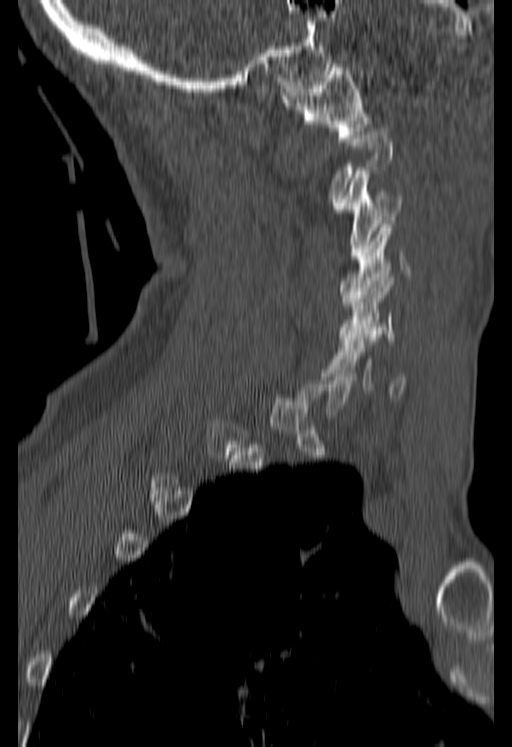 Computed tomography of the spine. sagittal view. 512x747 px
Boxes are (x1, y1, x2, y2) in pixels. A vertebra gets a box only on the slices from the first to the last where its cross-section is at least a third of its largest; on a slice outside that range it gets none. 5 vertebrae labeled — C6 at (327, 331, 404, 397); C5 at (338, 274, 394, 340); C4 at (339, 220, 411, 301); C3 at (334, 171, 401, 259); C1 at (281, 60, 369, 141).